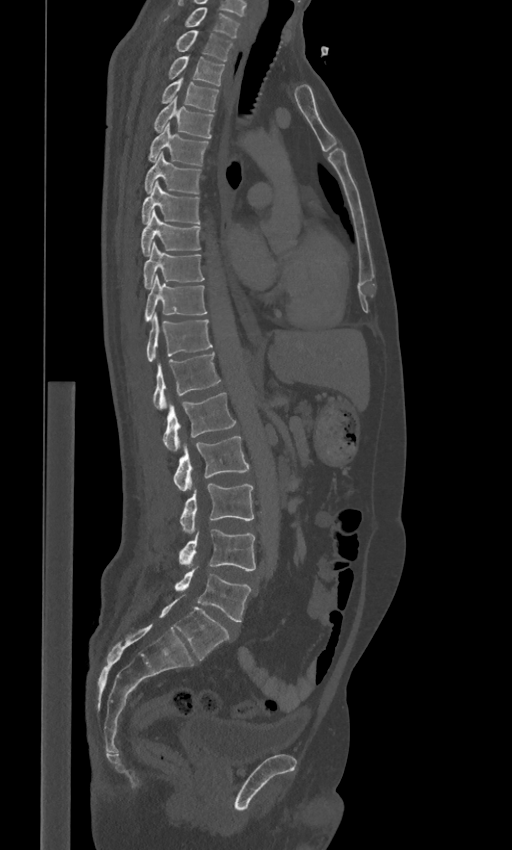

Spine computed tomography. sagittal view. bone-window reconstruction. the image spans 443 mm across. 512x850 px
Coordinates as <box>x1,y1,x2,y2</box>.
The labels name a sixth lumbar vertebra for this spine: L6, after L5.
Vertebra bounding boxes:
- C7: <box>185,7,239,37</box>
- T1: <box>176,30,232,60</box>
- T2: <box>168,56,224,85</box>
- T3: <box>162,77,219,111</box>
- T4: <box>154,98,213,138</box>
- T5: <box>148,123,208,164</box>
- T6: <box>144,152,200,194</box>
- T7: <box>141,181,200,224</box>
- T8: <box>141,211,200,256</box>
- T9: <box>143,242,203,288</box>
- T10: <box>144,275,207,320</box>
- T11: <box>147,313,212,361</box>
- T12: <box>152,352,221,410</box>
- L1: <box>163,392,236,451</box>
- L2: <box>173,436,249,491</box>
- L3: <box>180,484,253,534</box>
- L4: <box>179,529,255,570</box>
- L5: <box>174,567,251,621</box>
- L6: <box>159,597,229,660</box>